CT, spine; sagittal plane, index 233; 512x905 px; scan covers 18 annotated vertebrae
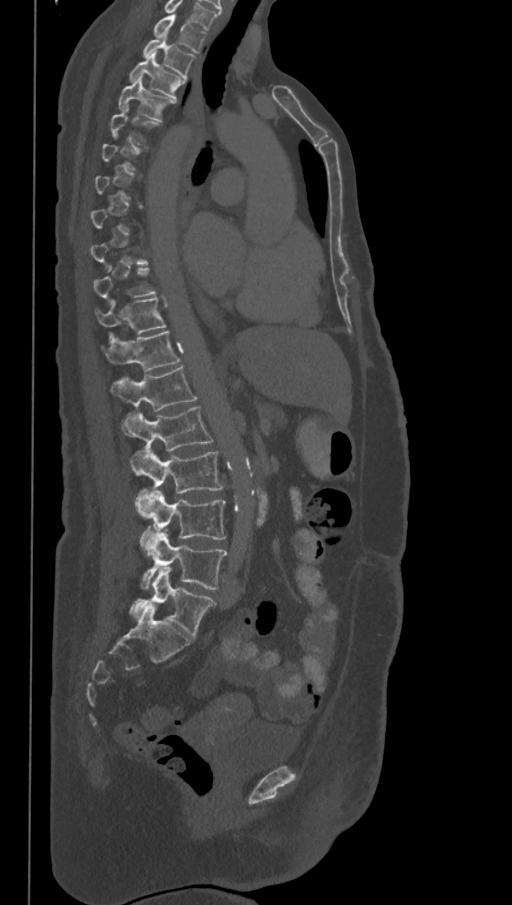 Box edges are left/top/right/bottom in pixels.
Not every vertebra on this slice has a box: a vertebra is boxed only from the first to the last slice where its cross-section is at least a third of its largest, and this slice is outside that range for at least one of them.
In this scan, the topmost labeled vertebra is T1 and the lowest is L6.
The labels name a sixth lumbar vertebra for this spine: L6, after L5.
T1: left=153, top=15, right=206, bottom=53
T2: left=143, top=35, right=195, bottom=78
T3: left=129, top=54, right=185, bottom=98
T4: left=118, top=78, right=175, bottom=122
T11: left=94, top=298, right=166, bottom=335
T12: left=103, top=331, right=180, bottom=372
L1: left=110, top=366, right=198, bottom=411
L2: left=121, top=407, right=213, bottom=451
L3: left=130, top=448, right=223, bottom=502
L4: left=137, top=490, right=226, bottom=545
L5: left=140, top=532, right=227, bottom=589
L6: left=129, top=567, right=216, bottom=638